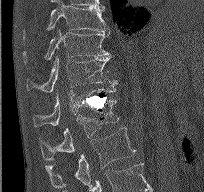

Spine CT. sagittal view. Bone window (WL 400, WW 1800). 204x192 px. image 204 mm wide. Coordinates as <box>x1,y1,x2,y2</box>.
Vertebra bounding boxes:
- L2: <box>45,127,135,189</box>
- L1: <box>39,100,119,158</box>
- T12: <box>33,88,115,127</box>
- T11: <box>26,55,117,92</box>
- T10: <box>23,28,109,63</box>
- T9: <box>23,3,109,38</box>